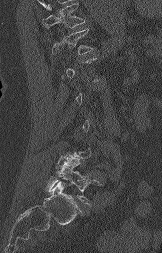 CT, spine — sagittal view — W/L 1800/400 HU — 162x253 px. Each box given as x1,y1,x2,y2.
Not every vertebra on this slice has a box: a vertebra is boxed only from the first to the last slice where its cross-section is at least a third of its largest, and this slice is outside that range for at least one of them.
A vertebra cut off by the top edge of the scan is not labeled and has no box.
| vertebra | x1 | y1 | x2 | y2 |
|---|---|---|---|---|
| T12 | 52 | 28 | 93 | 55 |
| L5 | 47 | 156 | 101 | 205 |